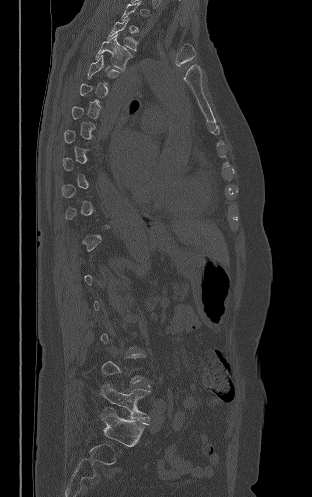
CT. sagittal view
Boxes: x1:y1:x2:y2 in pixels.
A vertebra is boxed only from the first to the last slice where its cross-section is at least a third of its largest; slices outside that range leave it without a box.
L5: 100:383:150:420
T5: 87:55:119:84
T4: 95:33:131:70
T3: 108:17:137:51